Spine computed tomography — sagittal view — 195x629 px
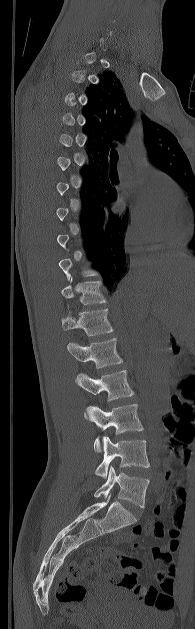 Each vertebra maps to its box as [x1, y1, x2, y2], the pixel coordinates of its top-left and bottom-right corners.
A vertebra is boxed only from the first to the last slice where its cross-section is at least a third of its largest; slices outside that range leave it without a box.
{"vertebrae":{"L5":[94,466,149,507],"L4":[95,436,149,478],"L3":[84,404,143,451],"L2":[75,370,134,401],"L1":[67,338,122,368],"T12":[62,309,113,336],"T11":[61,277,106,304]}}